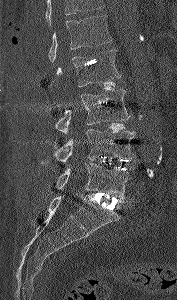

CT, spine — sagittal view — 177 mm wide — bone-window reconstruction — 177x300 px. Each row gives a vertebra's box as x1, y1, x2, y2 in pixels: top-left corner, then bottom-right corner.
No box is given to a vertebra that the top edge of the scan cuts off.
| vertebra | x1 | y1 | x2 | y2 |
|---|---|---|---|---|
| L1 | 48 | 15 | 112 | 62 |
| L2 | 56 | 50 | 121 | 86 |
| L3 | 55 | 89 | 130 | 137 |
| L4 | 40 | 129 | 135 | 166 |
| L5 | 55 | 163 | 134 | 201 |